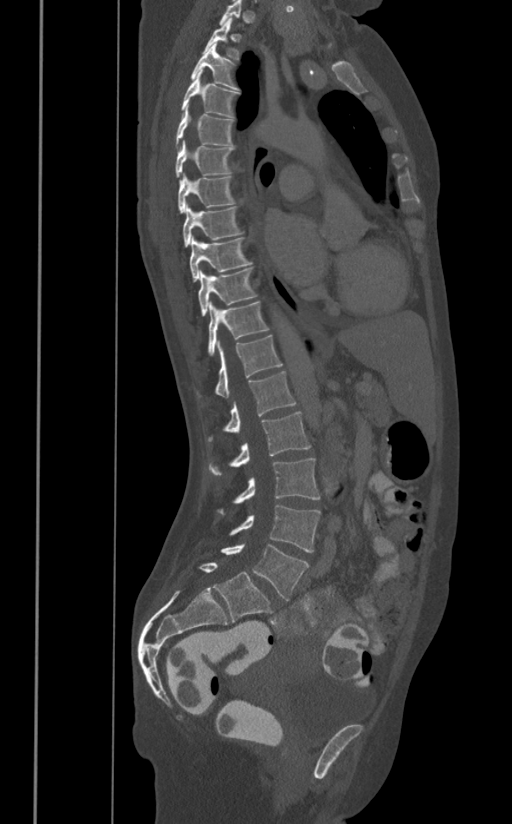
CT, spine — sagittal view
Each row gives a vertebra's box as x1, y1, x2, y2 in pixels: top-left corner, then bottom-right corner.
| vertebra | x1 | y1 | x2 | y2 |
|---|---|---|---|---|
| L5 | 221 | 543 | 309 | 600 |
| L4 | 229 | 506 | 320 | 552 |
| L3 | 216 | 457 | 320 | 514 |
| L2 | 208 | 411 | 310 | 475 |
| L1 | 207 | 371 | 296 | 442 |
| T12 | 196 | 336 | 283 | 399 |
| T11 | 207 | 302 | 270 | 356 |
| T10 | 198 | 268 | 257 | 316 |
| T9 | 188 | 237 | 253 | 282 |
| T8 | 182 | 204 | 244 | 246 |
| T7 | 177 | 173 | 237 | 212 |
| T6 | 175 | 140 | 235 | 176 |
| T5 | 175 | 104 | 235 | 147 |
| T4 | 182 | 70 | 240 | 117 |
| T3 | 191 | 42 | 237 | 90 |
| T2 | 203 | 18 | 239 | 60 |
| T1 | 219 | 0 | 242 | 26 |